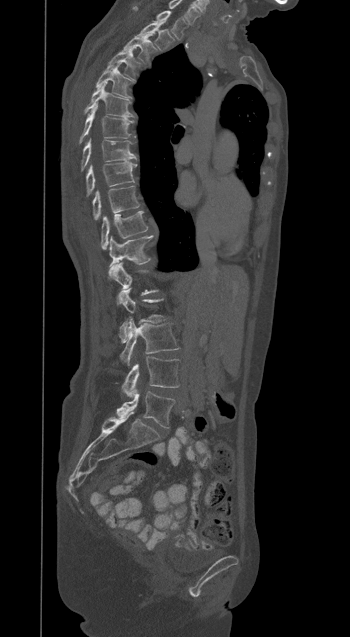

Spine CT — the image spans 350 mm across — sagittal view — 350x637 px. Bounding boxes as [x1, y1, x2, y2] in pixel coordinates. Not every vertebra on this slice has a box: a vertebra is boxed only from the first to the last slice where its cross-section is at least a third of its largest, and this slice is outside that range for at least one of them. In this scan, the topmost labeled vertebra is T1 and the lowest is L5. Vertebrae labeled: T1 at [154, 11, 186, 39], T2 at [140, 22, 173, 49], T3 at [122, 35, 153, 61], T4 at [108, 51, 139, 78], T5 at [96, 65, 130, 97], T6 at [85, 84, 133, 117], T7 at [80, 104, 133, 142], T8 at [81, 139, 136, 170], T9 at [86, 162, 136, 194], T10 at [93, 186, 139, 220], T11 at [101, 211, 147, 249], T12 at [109, 236, 151, 274], L2 at [118, 288, 165, 342], L3 at [120, 319, 178, 365], L4 at [121, 356, 178, 397], L5 at [116, 391, 174, 428].